Spine computed tomography · sagittal view · bone-window reconstruction · scan covers 19 annotated vertebrae
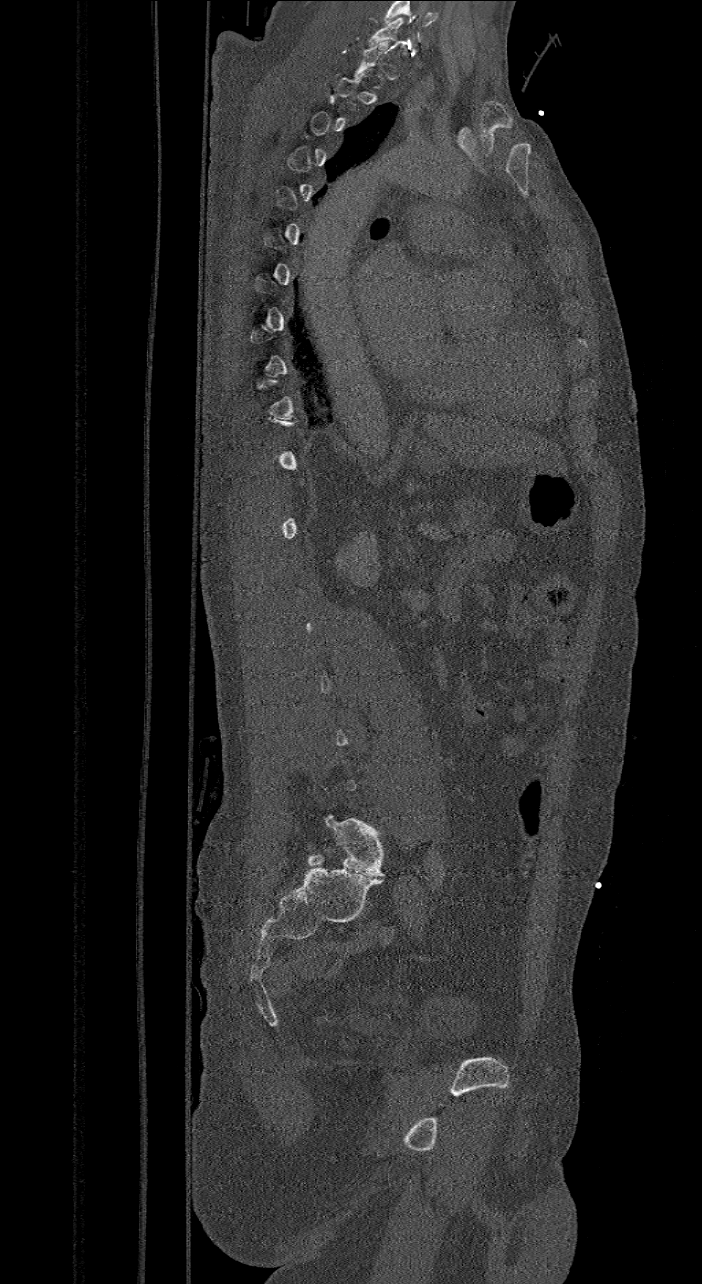 Box edges are left/top/right/bottom in pixels. Not every vertebra on this slice has a box: a vertebra is boxed only from the first to the last slice where its cross-section is at least a third of its largest, and this slice is outside that range for at least one of them. This scan's labels start at C7 at the top and end at L6 at the bottom. In these labels the spine has an L6, a sixth lumbar vertebra below L5. 2 vertebrae labeled — L6 at left=325, top=814, right=384, bottom=877; C7 at left=369, top=18, right=409, bottom=53.